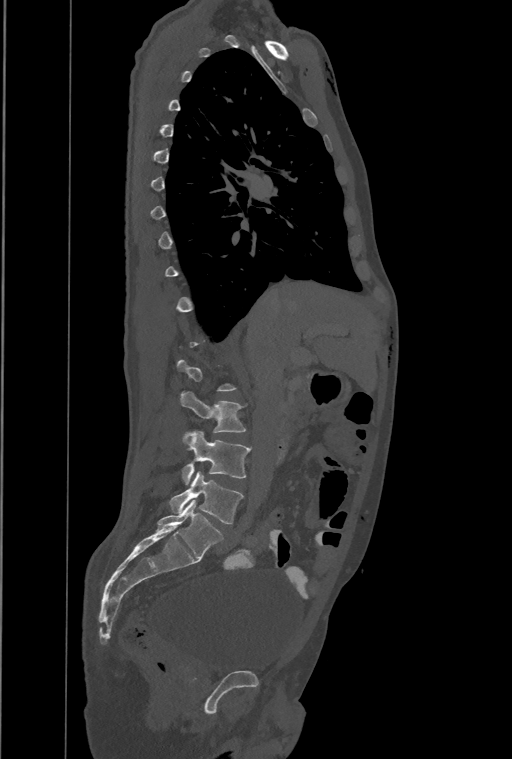 CT · sagittal view
Each vertebra maps to its box as [x1, y1, x2, y2], the pixel coordinates of its top-left and bottom-right corners.
A vertebra is boxed only from the first to the last slice where its cross-section is at least a third of its largest; slices outside that range leave it without a box.
Labels in this scan begin with T1 at the top and end with L4 at the bottom.
{"vertebrae":{"L2":[181,391,245,433],"L3":[182,431,251,485],"L4":[170,471,243,524]}}